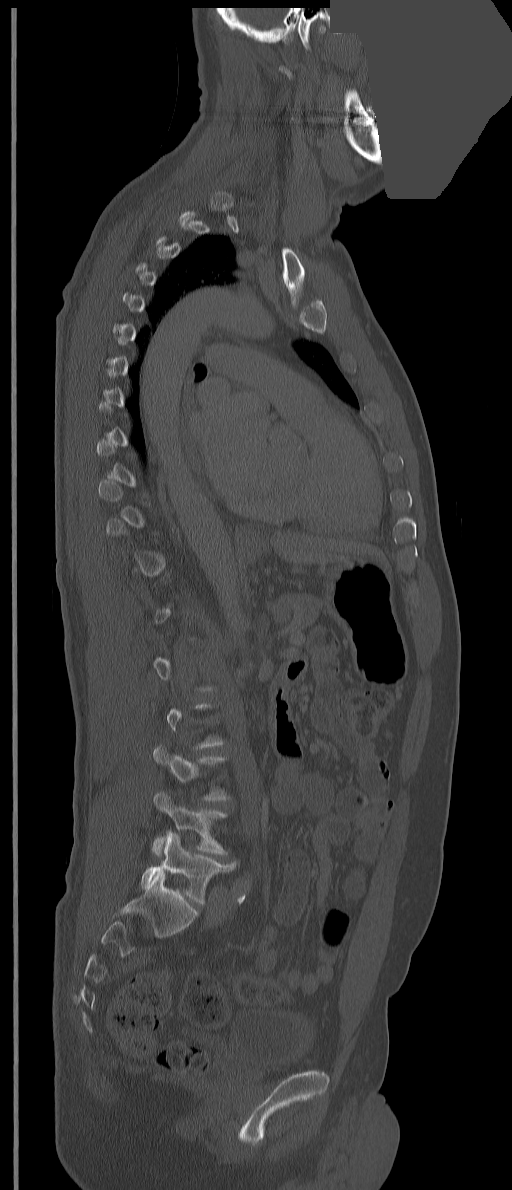 CT, spine — sagittal view — 512x1190 px — a region of this slice is masked with a uniform fill
Not every vertebra on this slice has a box: a vertebra is boxed only from the first to the last slice where its cross-section is at least a third of its largest, and this slice is outside that range for at least one of them.
<vertebrae><v name="L4" x1="152" y1="791" x2="227" y2="857"/><v name="L5" x1="140" y1="832" x2="236" y2="905"/></vertebrae>